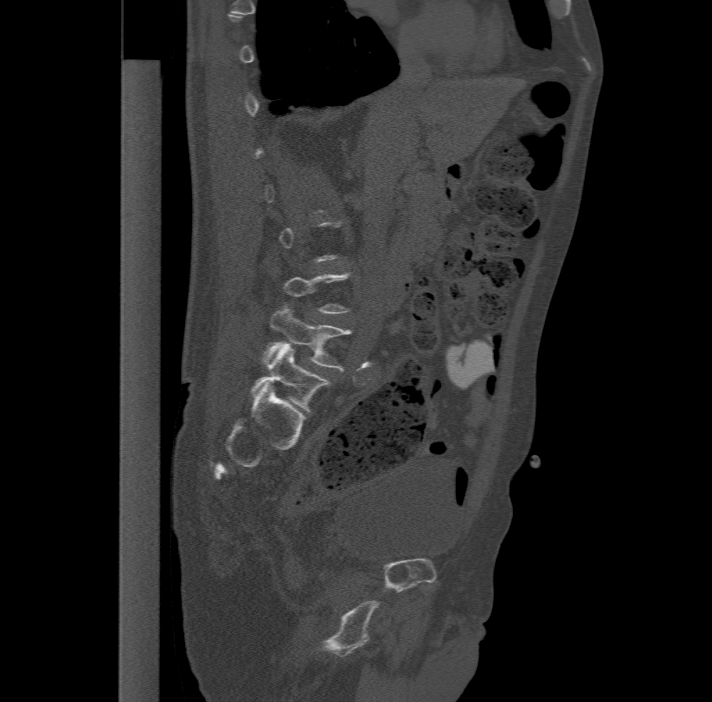
Computed tomography of the spine. sagittal view. 712x702 px. image width 477 mm. Each box given as x1,y1,x2,y2.
Not every vertebra on this slice has a box: a vertebra is boxed only from the first to the last slice where its cross-section is at least a third of its largest, and this slice is outside that range for at least one of them.
The labels name a sixth lumbar vertebra for this spine: L6, after L5.
L6: x1=250, y1=344, x2=330, y2=413
L5: x1=263, y1=304, x2=351, y2=370